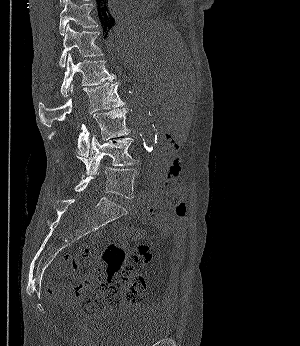
CT, spine. sagittal view. W/L 1800/400 HU. 300x346 px
<vertebrae><v name="T11" x1="59" y1="0" x2="97" y2="35"/><v name="T12" x1="59" y1="24" x2="103" y2="67"/><v name="L1" x1="60" y1="54" x2="115" y2="97"/><v name="L2" x1="38" y1="82" x2="124" y2="126"/><v name="L3" x1="49" y1="108" x2="130" y2="156"/><v name="L4" x1="76" y1="135" x2="138" y2="175"/><v name="L5" x1="59" y1="167" x2="139" y2="198"/></vertebrae>